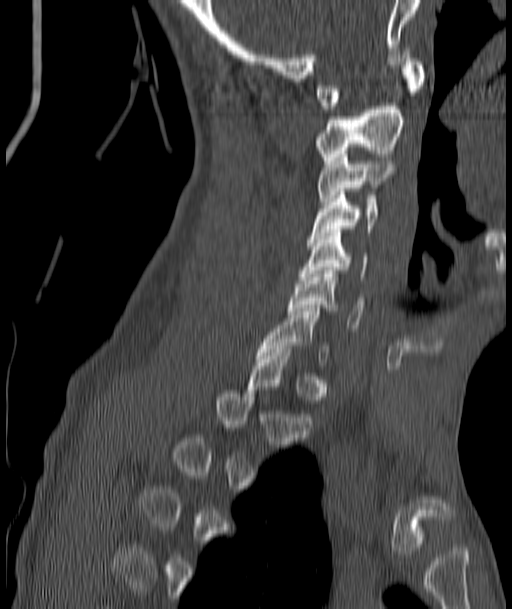 Spine computed tomography — sagittal view — bone-window reconstruction
Each box given as x1,y1,x2,y2.
A vertebra gets a box only on the slices from the first to the last where its cross-section is at least a third of its largest; on a slice outside that range it gets none.
| vertebra | x1 | y1 | x2 | y2 |
|---|---|---|---|---|
| C7 | 258 | 308 | 329 | 365 |
| C6 | 288 | 270 | 364 | 328 |
| C5 | 302 | 229 | 367 | 276 |
| C4 | 307 | 192 | 378 | 242 |
| C3 | 318 | 151 | 394 | 204 |
| C2 | 316 | 103 | 405 | 163 |
| C1 | 316 | 55 | 424 | 109 |